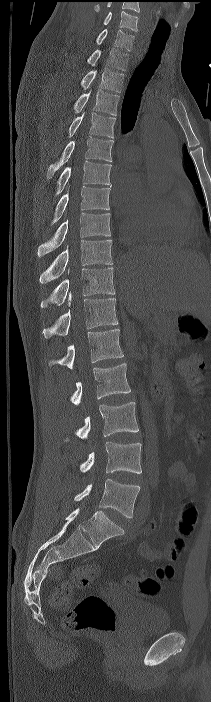
Spine CT. the image spans 211 mm across. sagittal reformat. W/L 1800/400 HU. 211x702 px

Boxes below are [x1, y1, x2, y2] in pixels.
This scan's labels start at C7 at the top and end at L4 at the bottom.
{"vertebrae":{"C7":[96,29,134,51],"T1":[87,48,128,70],"T2":[81,68,124,92],"T3":[73,89,119,115],"T4":[68,112,115,138],"T5":[47,136,113,179],"T6":[55,160,111,195],"T7":[51,185,109,224],"T8":[38,212,110,256],"T9":[40,240,112,283],"T10":[41,267,114,308],"T11":[42,291,117,338],"T12":[48,329,123,369],"L1":[70,363,130,405],"L2":[65,402,138,441],"L3":[80,442,141,473],"L4":[74,478,139,518]}}